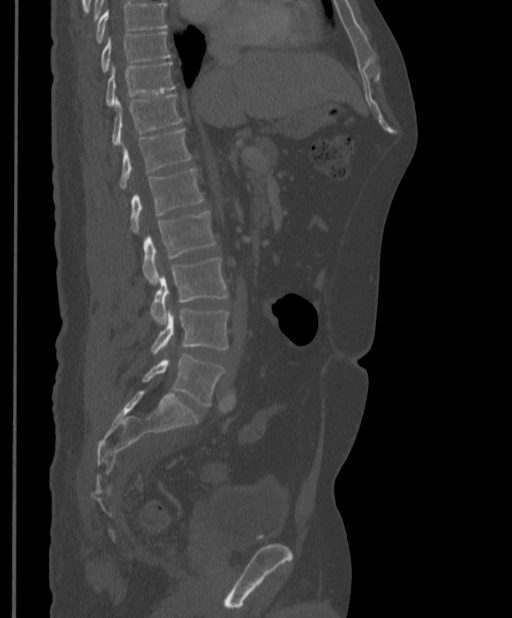 CT, spine — sagittal view — the image is 397 mm wide — 512x618 px
Bounding boxes as [x1, y1, x2, y2] in pixel coordinates. Where the top of the scan cuts through a vertebra, that vertebra gets no label or box. Vertebrae labeled: T9 at [100, 31, 170, 71], T10 at [106, 62, 176, 106], T11 at [112, 94, 182, 145], T12 at [119, 129, 191, 189], L1 at [130, 168, 204, 234], L2 at [142, 212, 216, 284], L3 at [149, 258, 228, 325], L4 at [151, 308, 228, 354], L5 at [142, 355, 225, 407].